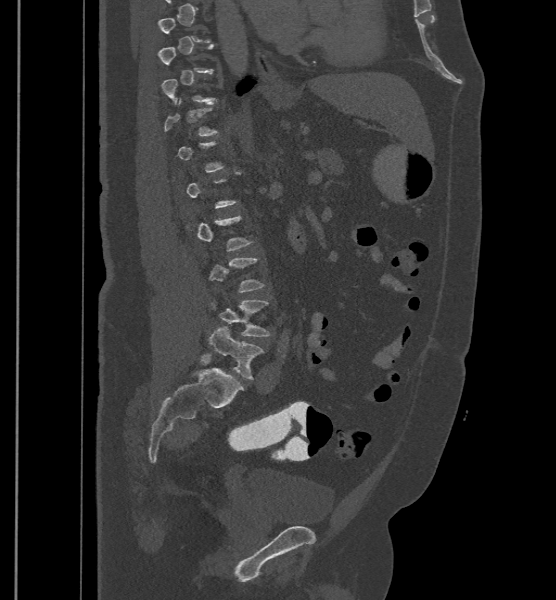
Spine computed tomography; sagittal reformat; image width 500 mm. Box edges are left/top/right/bottom in pixels.
A vertebra is boxed only from the first to the last slice where its cross-section is at least a third of its largest; slices outside that range leave it without a box.
The labels name a sixth lumbar vertebra for this spine: L6, after L5.
L5: left=212, top=300, right=270, bottom=336
L6: left=208, top=327, right=264, bottom=379